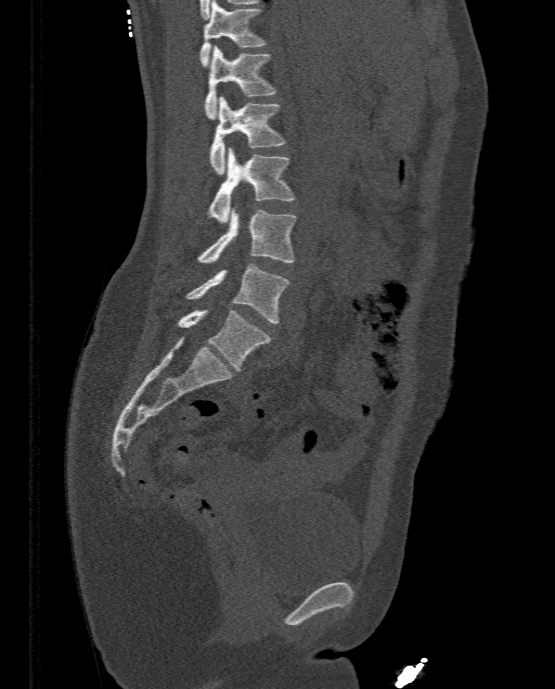
Computed tomography of the spine. image width 333 mm. sagittal reformat
Each row gives a vertebra's box as x1, y1, x2, y2 in pixels: top-left corner, then bottom-right corner.
| vertebra | x1 | y1 | x2 | y2 |
|---|---|---|---|---|
| L5 | 177 | 310 | 270 | 370 |
| L4 | 184 | 263 | 291 | 323 |
| L3 | 196 | 208 | 297 | 263 |
| L2 | 206 | 147 | 295 | 223 |
| L1 | 209 | 97 | 285 | 174 |
| T12 | 204 | 45 | 276 | 119 |
| T11 | 199 | 0 | 269 | 67 |